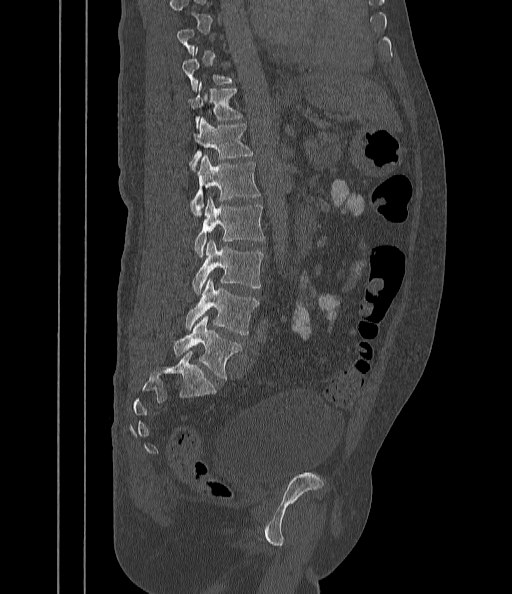 CT, spine · sagittal reformat
Each vertebra maps to its box as [x1, y1, x2, y2], the pixel coordinates of its top-left and bottom-right corners.
A vertebra is boxed only from the first to the last slice where its cross-section is at least a third of its largest; slices outside that range leave it without a box.
{"vertebrae":{"T11":[188,82,242,128],"T12":[184,118,253,171],"L1":[191,155,260,216],"L2":[195,196,264,256],"L3":[192,240,263,294],"L4":[185,280,258,334],"L5":[174,316,241,380]}}